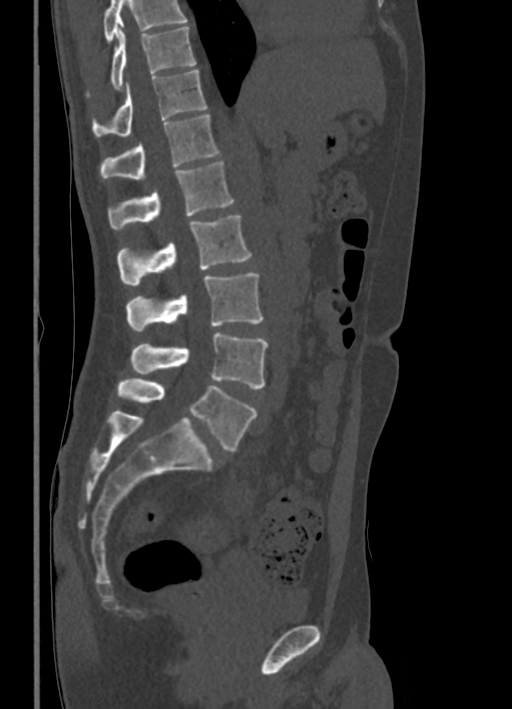
Spine CT · sagittal reformat · 512x709 px
Boxes are given in columns x1, y1, x2, y2, the pixel coordinates of their top-left and bottom-right corners.
Where the top of the scan cuts through a vertebra, that vertebra gets no label or box.
| vertebra | x1 | y1 | x2 | y2 |
|---|---|---|---|---|
| T10 | 111 | 26 | 195 | 89 |
| T11 | 93 | 70 | 208 | 136 |
| T12 | 100 | 115 | 220 | 178 |
| L1 | 108 | 161 | 233 | 230 |
| L2 | 117 | 215 | 252 | 286 |
| L3 | 126 | 273 | 262 | 331 |
| L4 | 131 | 332 | 267 | 389 |
| L5 | 117 | 378 | 256 | 451 |